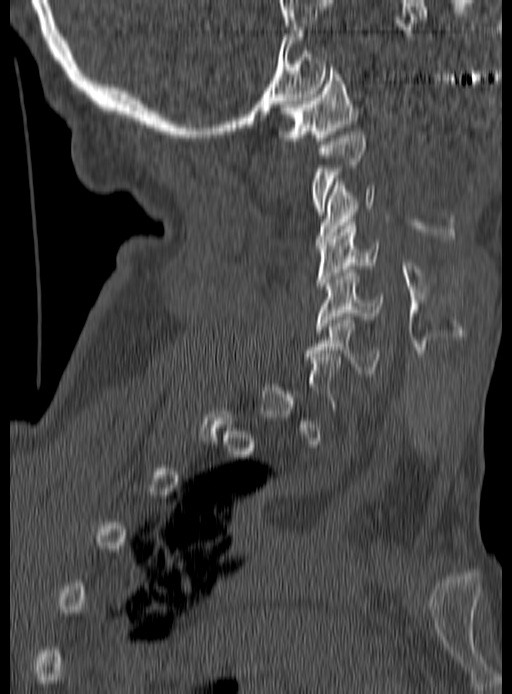
Spine CT; sagittal view

Boxes: x1:y1:x2:y2 in pixels.
A vertebra is boxed only from the first to the last slice where its cross-section is at least a third of its largest; slices outside that range leave it without a box.
Vertebra bounding boxes:
- C1: 278:64:357:144
- C2: 311:131:366:215
- C3: 316:182:376:245
- C4: 316:222:380:289
- C5: 316:269:385:332
- C6: 305:317:381:376